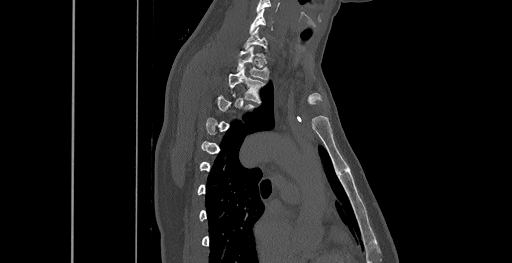
CT; sagittal view; Bone window (WL 400, WW 1800); 512x263 px

Box edges are left/top/right/bottom in pixels.
A vertebra is boxed only from the first to the last slice where its cross-section is at least a third of its largest; slices outside that range leave it without a box.
T2: left=229, top=67, right=265, bottom=102
T1: left=237, top=46, right=269, bottom=79
C7: left=244, top=26, right=270, bottom=55
C6: left=250, top=9, right=273, bottom=32